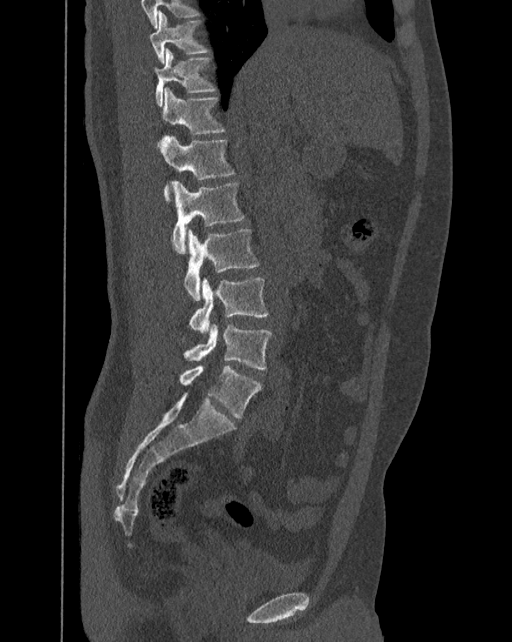 Spine computed tomography; sagittal view
Each vertebra maps to its box as [x1, y1, x2, y2], the pixel coordinates of its top-left and bottom-right corners.
The labels name a sixth lumbar vertebra for this spine: L6, after L5.
{"vertebrae":{"L6":[180,364,261,417],"L5":[183,323,271,369],"L4":[189,277,268,334],"L3":[184,229,259,300],"L2":[172,181,244,253],"L1":[160,136,234,201],"T12":[162,87,225,134],"T11":[154,48,216,106],"T10":[149,11,208,62]}}